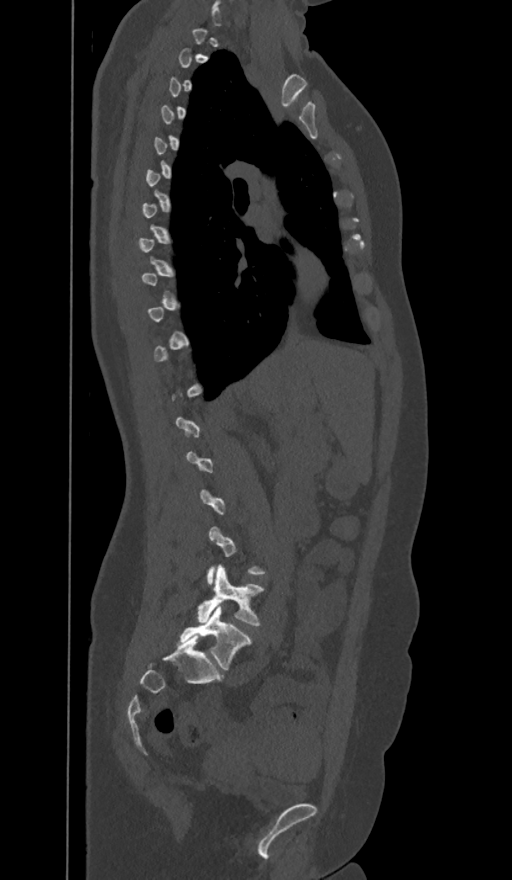
Computed tomography of the spine — sagittal view — 512x880 px
Each box given as x1,y1,x2,y2.
Each vertebra is boxed only on the slices from the first to the last where its cross-section reaches a third of its largest, so a slice outside that range leaves it unboxed.
In these labels the spine has an L6, a sixth lumbar vertebra below L5.
Vertebra bounding boxes:
- L5: x1=197, y1=566, x2=263, y2=626
- L6: x1=176, y1=606, x2=251, y2=669